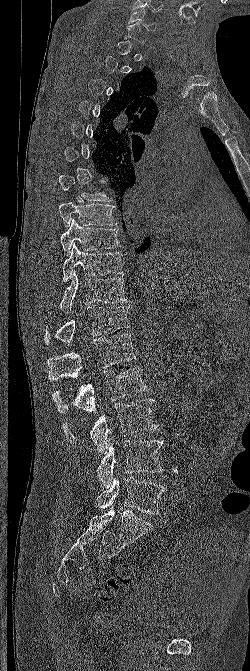 Spine computed tomography. sagittal reformat. 250x671 px
Columns x1, y1, x2, y2 give each box's top-left and bottom-right pixels.
A vertebra gets a box only on the slices from the first to the last where its cross-section is at least a third of its largest; on a slice outside that range it gets none.
| vertebra | x1 | y1 | x2 | y2 |
|---|---|---|---|---|
| C6 | 128 | 8 | 157 | 30 |
| T7 | 58 | 175 | 113 | 201 |
| T8 | 59 | 202 | 117 | 227 |
| T9 | 60 | 218 | 121 | 256 |
| T10 | 62 | 242 | 123 | 282 |
| T11 | 59 | 270 | 127 | 313 |
| T12 | 44 | 304 | 130 | 344 |
| L1 | 47 | 333 | 135 | 380 |
| L2 | 52 | 366 | 146 | 413 |
| L3 | 62 | 399 | 158 | 453 |
| L4 | 96 | 440 | 163 | 488 |
| L5 | 96 | 476 | 165 | 514 |